Computed tomography of the spine; sagittal plane, index 267; 512x905 px
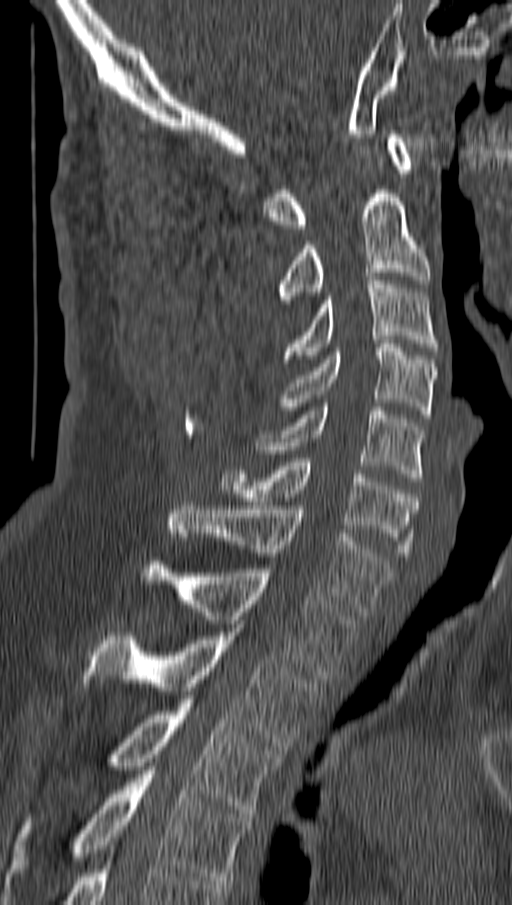 Coordinates as <box>x1,y1,x2,y2</box>. The labeled vertebrae in this slice are: C1 at <box>263,134,413,228</box>, C2 at <box>279,190,430,299</box>, C3 at <box>282,280,439,362</box>, C4 at <box>279,344,436,418</box>, C5 at <box>257,403,424,481</box>, C6 at <box>220,458,417,556</box>, C7 at <box>169,502,392,615</box>, T1 at <box>143,561,357,679</box>, T2 at <box>83,628,319,750</box>, T3 at <box>105,699,281,817</box>, T4 at <box>6,770,250,888</box>.